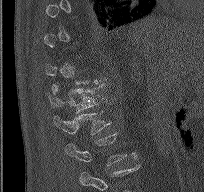 Computed tomography of the spine; sagittal view

A vertebra gets a box only on the slices from the first to the last where its cross-section is at least a third of its largest; on a slice outside that range it gets none.
In this scan, the topmost labeled vertebra is T9 and the lowest is L2.
<vertebrae><v name="T12" x1="47" y1="84" x2="103" y2="113"/><v name="L1" x1="53" y1="110" x2="111" y2="135"/><v name="L2" x1="64" y1="132" x2="137" y2="166"/></vertebrae>